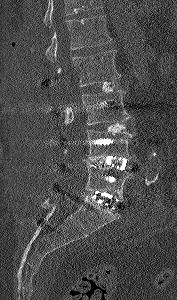
Spine CT · sagittal view · 177x300 px
Where the top of the scan cuts through a vertebra, that vertebra gets no label or box.
<vertebrae><v name="L5" x1="85" y1="162" x2="134" y2="198"/><v name="L4" x1="87" y1="130" x2="134" y2="159"/><v name="L3" x1="64" y1="90" x2="130" y2="129"/><v name="L2" x1="50" y1="50" x2="120" y2="86"/><v name="L1" x1="31" y1="15" x2="111" y2="61"/></vertebrae>